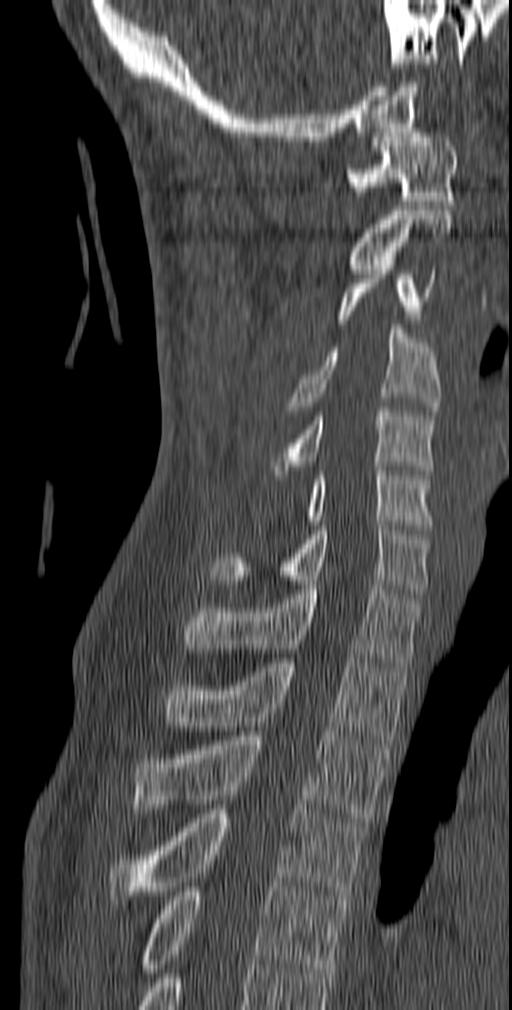 Computed tomography of the spine — sagittal view — Bone window (WL 400, WW 1800)

Boxes below are [x1, y1, x2, y2] in pixels.
{"vertebrae":{"C1":[345,128,459,205],"C2":[349,210,452,273],"C3":[338,261,441,333],"C4":[285,325,441,415],"C5":[269,407,436,474],"C6":[303,466,432,529],"C7":[210,526,430,593],"T1":[184,585,423,671],"T2":[162,658,409,740],"T3":[133,731,389,826],"T4":[110,809,366,904],"T5":[139,882,348,977]}}